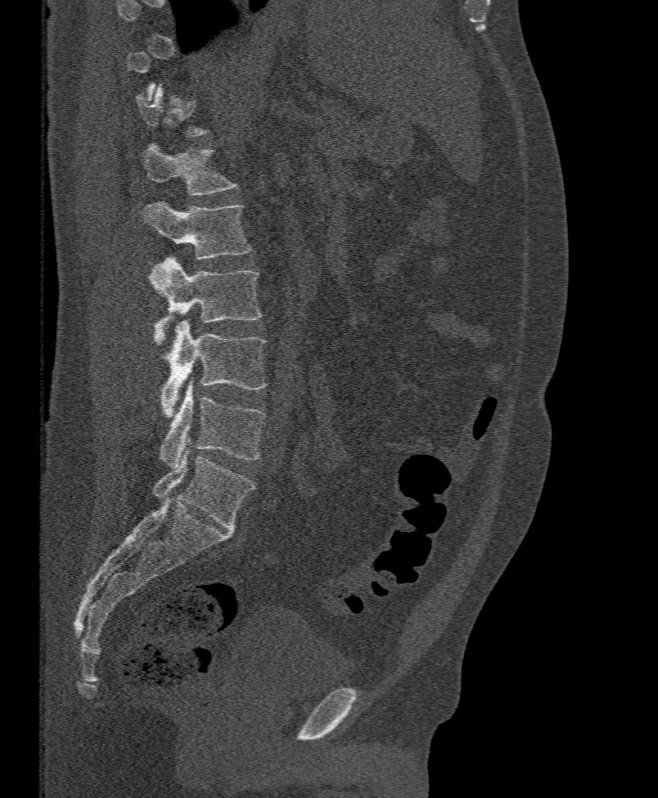

CT — sagittal reformat
Coordinates as <box>x1,y1,x2,y2</box>.
A vertebra is boxed only from the first to the last slice where its cross-section is at least a third of its largest; slices outside that range leave it without a box.
Vertebra bounding boxes:
- L1: <box>141,142,239,196</box>
- L2: <box>143,200,252,259</box>
- L3: <box>150,257,263,345</box>
- L4: <box>159,320,268,417</box>
- L5: <box>159,383,265,467</box>